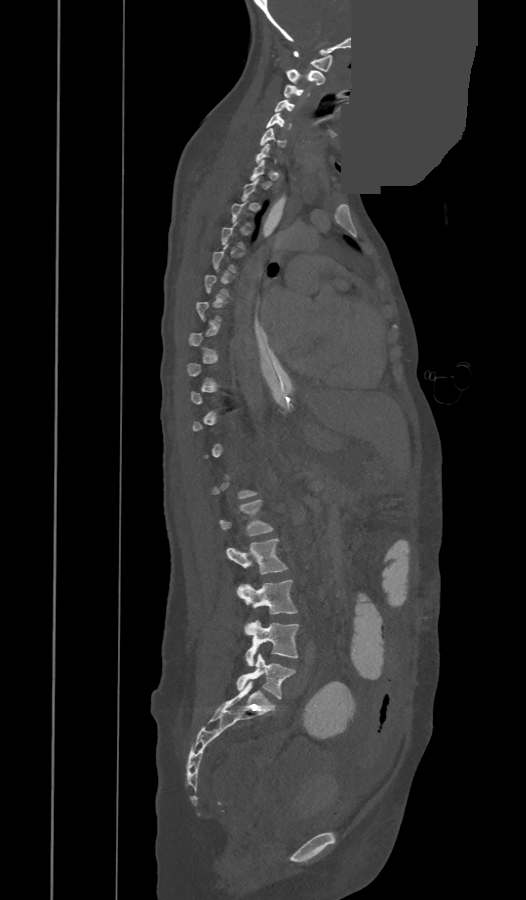
Spine CT — image 473 mm wide — sagittal view — some of the image was removed or blocked out with constant pixels
Not every vertebra on this slice has a box: a vertebra is boxed only from the first to the last slice where its cross-section is at least a third of its largest, and this slice is outside that range for at least one of them.
<vertebrae><v name="C1" x1="294" y1="51" x2="332" y2="71"/><v name="C2" x1="285" y1="69" x2="324" y2="85"/><v name="C3" x1="284" y1="85" x2="309" y2="97"/><v name="C4" x1="274" y1="100" x2="295" y2="111"/><v name="C5" x1="267" y1="113" x2="292" y2="129"/><v name="C6" x1="260" y1="128" x2="285" y2="147"/><v name="C7" x1="256" y1="143" x2="277" y2="162"/><v name="L1" x1="220" y1="500" x2="272" y2="536"/><v name="L2" x1="227" y1="539" x2="286" y2="574"/><v name="L3" x1="238" y1="580" x2="297" y2="614"/><v name="L4" x1="245" y1="620" x2="299" y2="666"/><v name="L5" x1="237" y1="653" x2="295" y2="698"/></vertebrae>